CT, spine — sagittal reformat
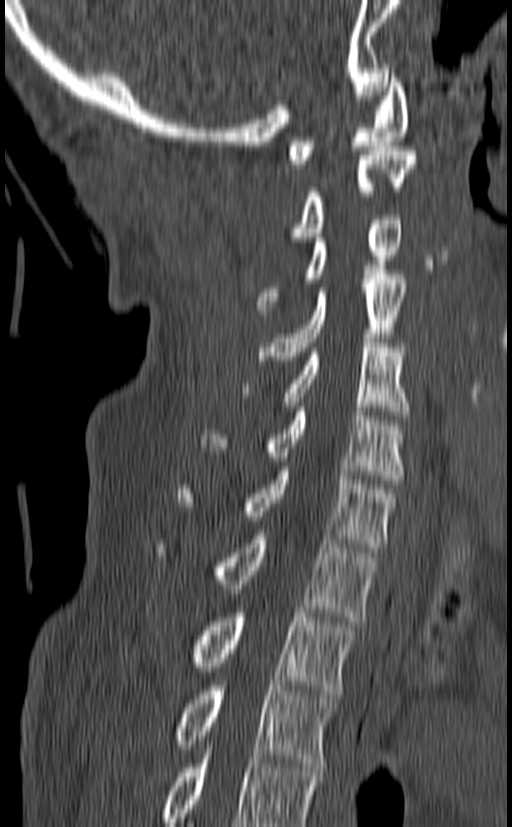
Boxes: x1 y1 x2 y2 (pixel coords, space-separated). The highest labeled vertebra in this scan is C1; the lowest is T3. 10 vertebrae labeled — C1 at 288 69 408 164; C2 at 288 146 416 241; C3 at 256 215 402 314; C4 at 258 270 407 360; C5 at 242 338 409 415; C6 at 200 407 404 484; C7 at 179 466 395 552; T1 at 153 530 377 621; T2 at 192 613 356 694; T3 at 173 681 337 767.